Spine CT — sagittal view — bone window
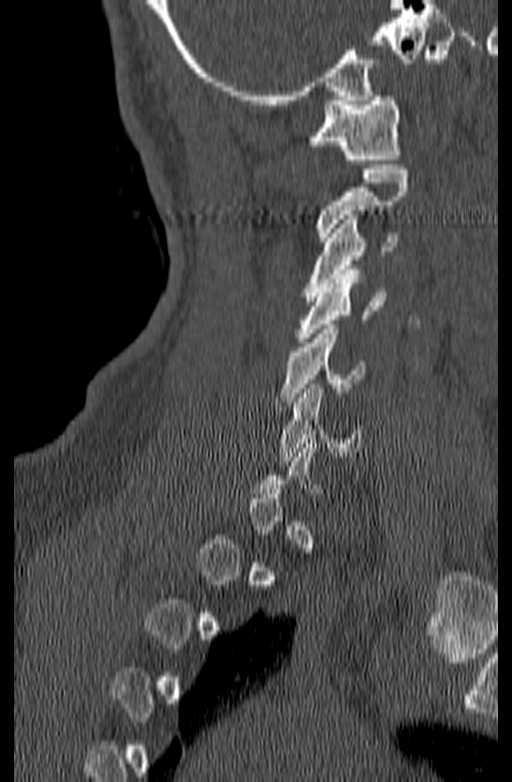

Not every vertebra on this slice has a box: a vertebra is boxed only from the first to the last slice where its cross-section is at least a third of its largest, and this slice is outside that range for at least one of them.
<vertebrae><v name="C1" x1="306" y1="91" x2="402" y2="164"/><v name="C2" x1="316" y1="165" x2="408" y2="241"/><v name="C3" x1="305" y1="215" x2="399" y2="301"/><v name="C4" x1="296" y1="270" x2="386" y2="342"/><v name="C5" x1="276" y1="325" x2="366" y2="406"/><v name="C6" x1="279" y1="384" x2="362" y2="461"/></vertebrae>